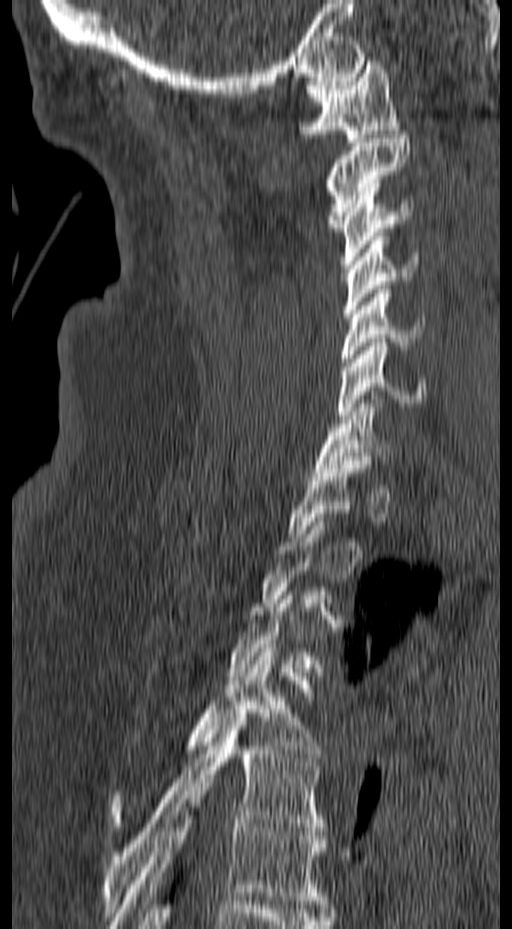

Spine CT. sagittal view. 512x929 px. image width 157 mm
Columns x1, y1, x2, y2 give each box's top-left and bottom-right pixels.
Not every vertebra on this slice has a box: a vertebra is boxed only from the first to the last slice where its cross-section is at least a third of its largest, and this slice is outside that range for at least one of them.
| vertebra | x1 | y1 | x2 | y2 |
|---|---|---|---|---|
| C1 | 298 | 61 | 401 | 142 |
| C2 | 324 | 130 | 411 | 231 |
| C3 | 339 | 183 | 414 | 268 |
| C4 | 344 | 232 | 418 | 317 |
| C5 | 340 | 285 | 424 | 370 |
| C6 | 337 | 338 | 426 | 419 |
| C7 | 314 | 391 | 391 | 476 |
| T4 | 110 | 648 | 323 | 827 |
| T5 | 102 | 713 | 325 | 916 |
| T6 | 110 | 787 | 326 | 928 |